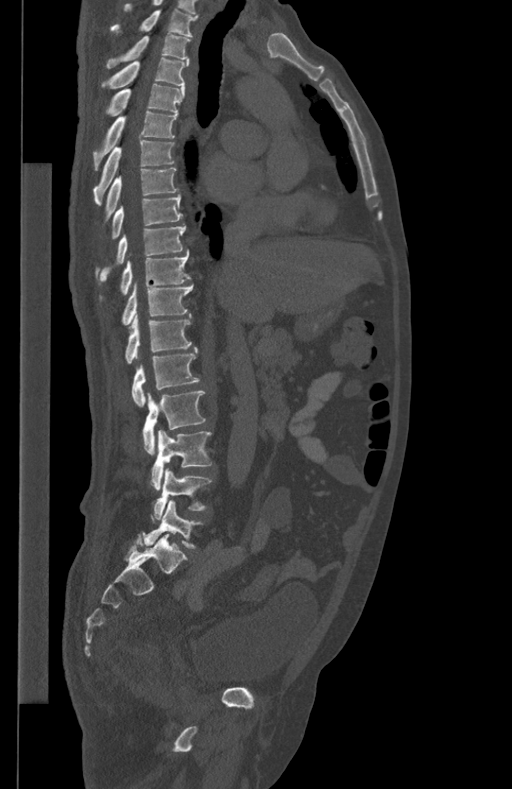

CT, spine — sagittal view — 512x789 px
<vertebrae><v name="L5" x1="144" y1="500" x2="202" y2="548"/><v name="L4" x1="151" y1="468" x2="211" y2="521"/><v name="L3" x1="151" y1="429" x2="211" y2="490"/><v name="L2" x1="143" y1="390" x2="205" y2="454"/><v name="L1" x1="132" y1="348" x2="199" y2="407"/><v name="T12" x1="125" y1="313" x2="192" y2="363"/><v name="T11" x1="123" y1="281" x2="192" y2="324"/><v name="T10" x1="120" y1="252" x2="190" y2="295"/><v name="T9" x1="95" y1="225" x2="185" y2="281"/><v name="T8" x1="112" y1="194" x2="182" y2="238"/><v name="T7" x1="106" y1="167" x2="177" y2="218"/><v name="T6" x1="93" y1="140" x2="175" y2="204"/><v name="T5" x1="93" y1="110" x2="178" y2="169"/><v name="T4" x1="105" y1="84" x2="184" y2="116"/><v name="T3" x1="101" y1="57" x2="189" y2="88"/><v name="T2" x1="106" y1="34" x2="190" y2="68"/><v name="T1" x1="111" y1="8" x2="198" y2="36"/></vertebrae>